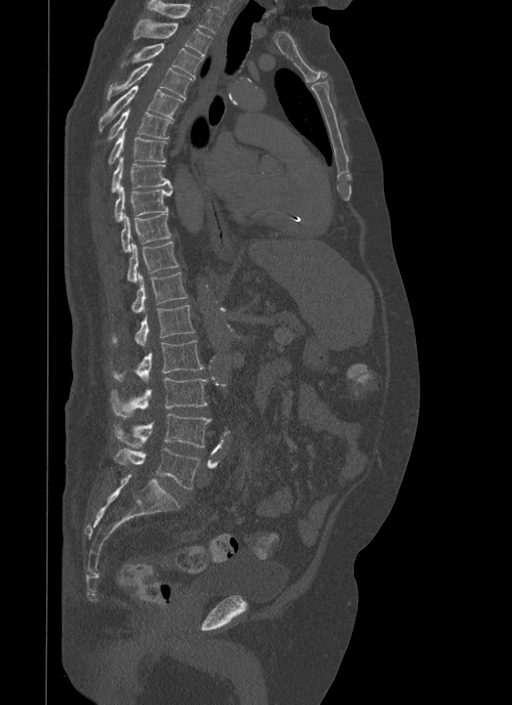

Spine computed tomography. sagittal reformat. 512x705 px
<vertebrae><v name="T1" x1="147" y1="0" x2="222" y2="34"/><v name="T2" x1="135" y1="18" x2="212" y2="58"/><v name="T3" x1="121" y1="43" x2="202" y2="79"/><v name="T4" x1="106" y1="62" x2="192" y2="99"/><v name="T5" x1="99" y1="85" x2="183" y2="131"/><v name="T6" x1="107" y1="109" x2="172" y2="140"/><v name="T7" x1="108" y1="128" x2="166" y2="164"/><v name="T8" x1="111" y1="157" x2="170" y2="192"/><v name="T9" x1="114" y1="185" x2="172" y2="221"/><v name="T10" x1="120" y1="213" x2="171" y2="252"/><v name="T11" x1="127" y1="241" x2="178" y2="282"/><v name="T12" x1="132" y1="272" x2="188" y2="312"/><v name="L1" x1="111" y1="305" x2="195" y2="346"/><v name="L2" x1="112" y1="340" x2="204" y2="381"/><v name="L3" x1="110" y1="378" x2="208" y2="418"/><v name="L4" x1="113" y1="414" x2="211" y2="448"/><v name="L5" x1="114" y1="447" x2="200" y2="488"/></vertebrae>